Spine computed tomography. sagittal reformat. bone-window reconstruction. some of the image was removed or blocked out with constant pixels
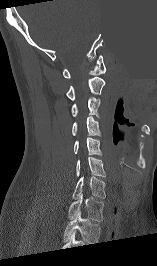

Bounding boxes as [x1, y1, x2, y2] in pixel coordinates. The highest labeled vertebra in this scan is C1; the lowest is T1. The labeled vertebrae in this slice are: C1 at [63, 55, 106, 78], C2 at [66, 77, 105, 100], C3 at [71, 97, 100, 117], C4 at [72, 116, 101, 136], C5 at [74, 137, 101, 155], C6 at [76, 157, 105, 176], C7 at [72, 175, 105, 199], T1 at [67, 193, 104, 221].